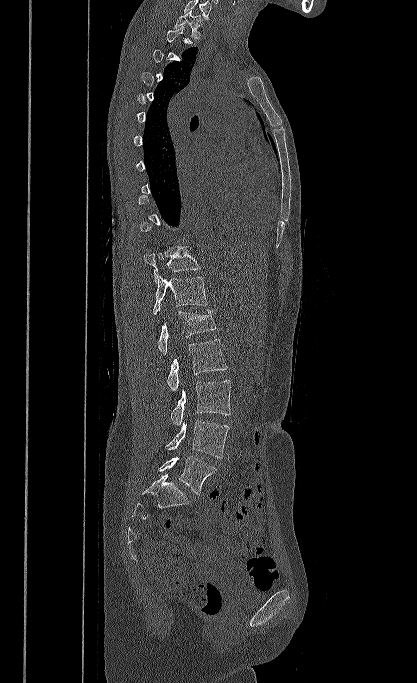
CT, spine; sagittal view; bone window; 417x683 px. Each box given as x1,y1,x2,y2.
A vertebra gets a box only on the slices from the first to the last where its cross-section is at least a third of its largest; on a slice outside that range it gets none.
The highest labeled vertebra in this scan is T1; the lowest is L5.
| vertebra | x1 | y1 | x2 | y2 |
|---|---|---|---|---|
| L5 | 159 | 456 | 217 | 494 |
| L4 | 166 | 420 | 229 | 458 |
| L3 | 171 | 380 | 230 | 425 |
| L2 | 167 | 339 | 227 | 391 |
| L1 | 158 | 310 | 216 | 354 |
| T12 | 153 | 274 | 207 | 315 |
| T11 | 144 | 246 | 200 | 282 |
| T1 | 174 | 10 | 203 | 40 |